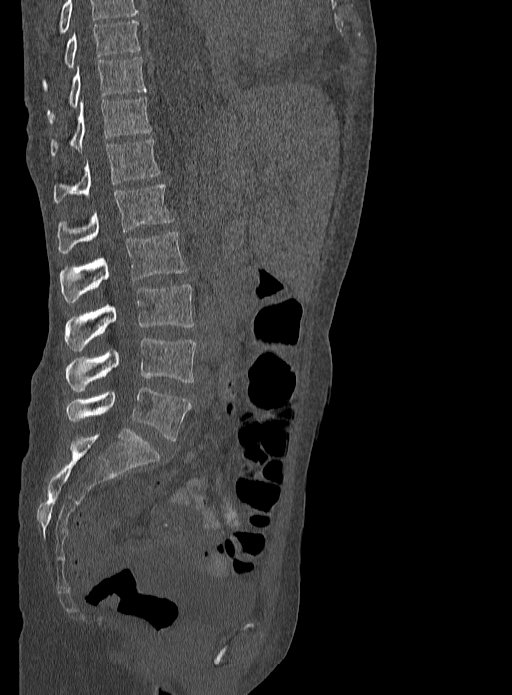

CT, spine — sagittal reformat — W/L 1800/400 HU — 512x695 px
Boxes: x1 y1 x2 y2 (pixel coords, space-separated).
The highest labeled vertebra in this scan is T9; the lowest is L5.
Vertebra bounding boxes:
- L5: 66 387 191 440
- L4: 66 338 196 391
- L3: 64 284 194 351
- L2: 60 232 186 302
- L1: 57 185 174 254
- T12: 54 138 160 203
- T11: 50 97 151 156
- T10: 46 57 146 124
- T9: 41 20 140 91